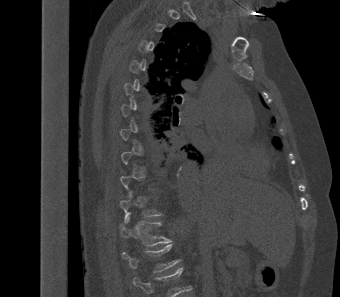

CT; sagittal view

Bounding boxes as [x1, y1, x2, y2] in pixel coordinates.
A vertebra gets a box only on the slices from the first to the last where its cross-section is at least a third of its largest; on a slice outside that range it gets none.
In this scan, the topmost labeled vertebra is T2 and the lowest is L1.
T11: [119, 197, 162, 222]
T12: [119, 215, 171, 246]
L1: [122, 244, 181, 272]